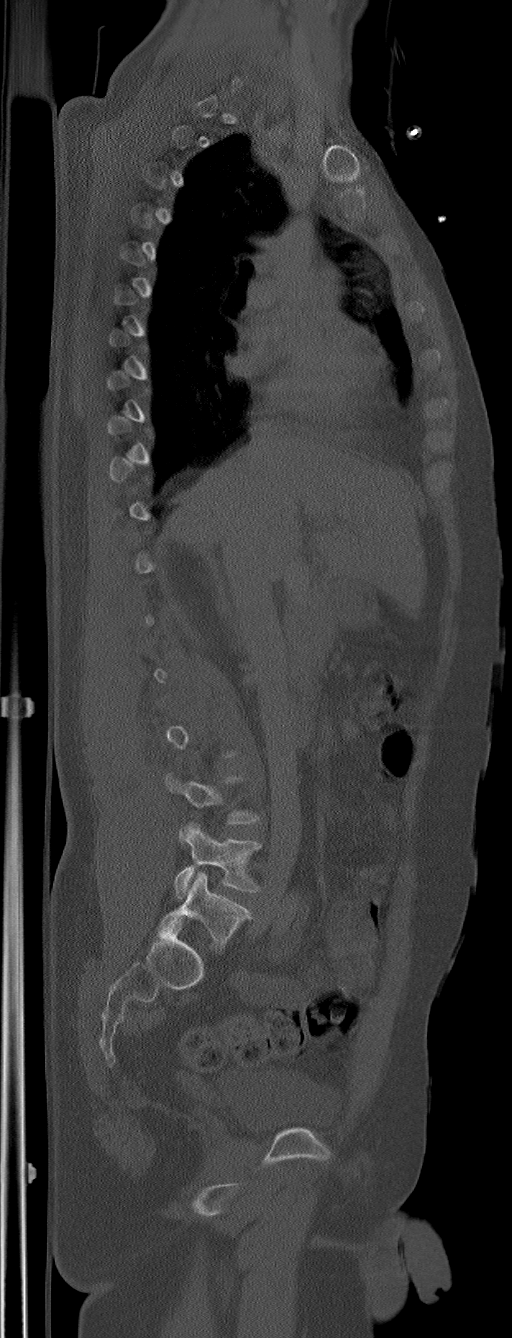 CT spine. 305 mm across the image. sagittal view. 512x1338 px

Boxes: x1:y1:x2:y2 in pixels.
Each vertebra is boxed only on the slices from the first to the last where its cross-section reaches a third of its largest, so a slice outside that range leaves it unboxed.
These labels give the spine a sixth lumbar vertebra, L6, below L5.
L6: 159:872:251:946
L5: 175:821:261:899